CT · Sagittal slice 216/512
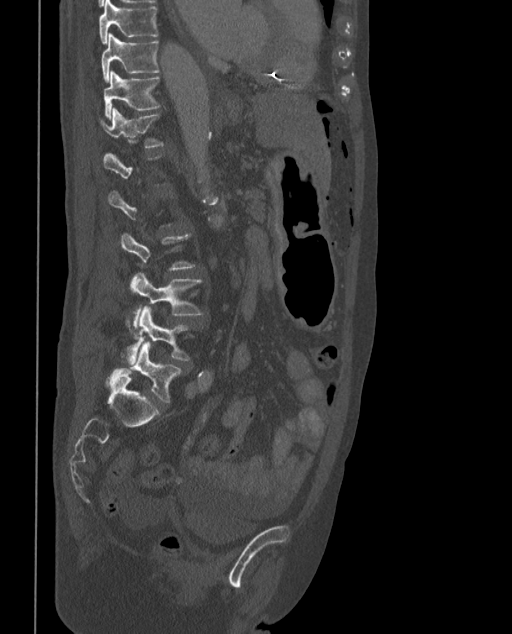

Boxes are (x1, y1, x2, y2) in pixels. Each vertebra is boxed only on the slices from the first to the last where its cross-section reaches a third of its largest, so a slice outside that range leaves it unboxed. These labels give the spine a sixth lumbar vertebra, L6, below L5. The labeled vertebrae in this slice are: T9 at (99, 0, 157, 43), T10 at (101, 32, 158, 81), T11 at (103, 69, 159, 118), T12 at (99, 109, 162, 147), L4 at (130, 273, 202, 326), L5 at (126, 308, 188, 362), L6 at (107, 341, 181, 402).